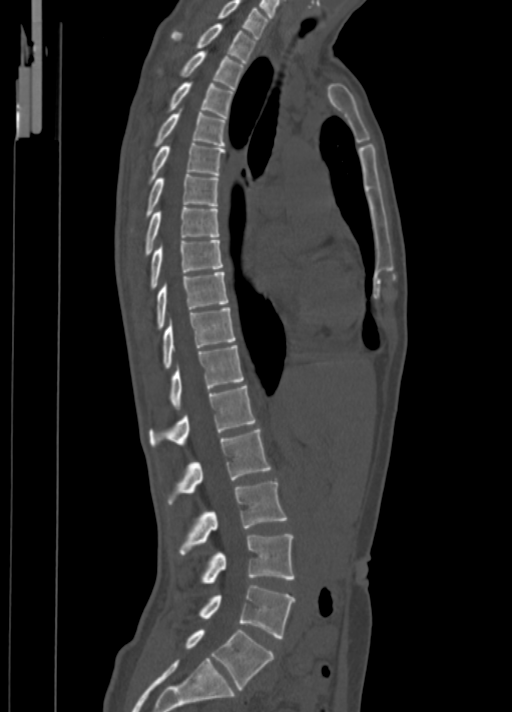 CT — sagittal view — bone-window reconstruction

<vertebrae><v name="L5" x1="186" y1="629" x2="274" y2="689"/><v name="L4" x1="200" y1="585" x2="294" y2="638"/><v name="L3" x1="202" y1="534" x2="294" y2="584"/><v name="L2" x1="180" y1="481" x2="287" y2="553"/><v name="L1" x1="169" y1="429" x2="271" y2="502"/><v name="T12" x1="149" y1="385" x2="255" y2="445"/><v name="T11" x1="171" y1="345" x2="243" y2="409"/><v name="T10" x1="164" y1="307" x2="236" y2="368"/><v name="T9" x1="156" y1="272" x2="228" y2="328"/><v name="T8" x1="150" y1="240" x2="223" y2="287"/><v name="T7" x1="145" y1="206" x2="218" y2="254"/><v name="T6" x1="146" y1="174" x2="218" y2="216"/><v name="T5" x1="150" y1="143" x2="224" y2="179"/><v name="T4" x1="155" y1="108" x2="226" y2="145"/><v name="T3" x1="169" y1="82" x2="233" y2="117"/><v name="T2" x1="181" y1="51" x2="245" y2="90"/><v name="T1" x1="171" y1="23" x2="256" y2="62"/><v name="C7" x1="218" y1="0" x2="269" y2="37"/></vertebrae>